Computed tomography of the spine; sagittal view; Bone window (WL 400, WW 1800); image width 408 mm
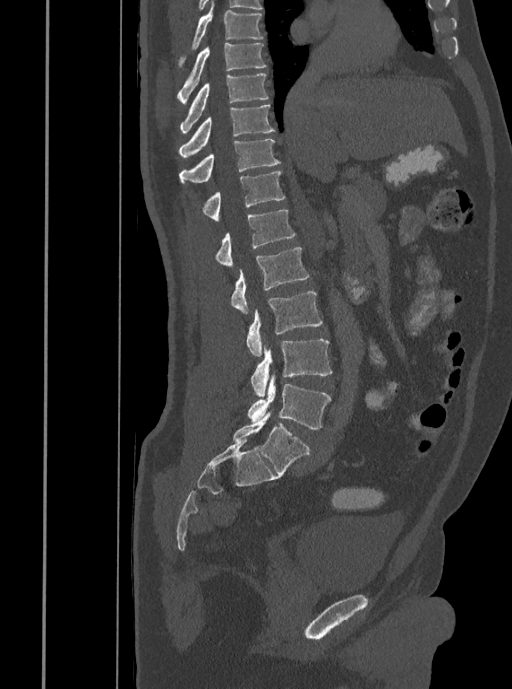

Box edges are left/top/right/bottom in pixels.
T7: left=178, top=0, right=262, bottom=66
T8: left=177, top=43, right=266, bottom=103
T9: left=179, top=73, right=269, bottom=132
T10: left=178, top=104, right=275, bottom=157
T11: left=179, top=139, right=281, bottom=183
T12: left=203, top=171, right=285, bottom=221
L1: left=216, top=210, right=295, bottom=267
L2: left=231, top=247, right=309, bottom=314
L3: left=246, top=291, right=323, bottom=357
L4: left=251, top=339, right=331, bottom=397
L5: left=247, top=374, right=330, bottom=429